Spine computed tomography — sagittal view — W/L 1800/400 HU — image 336 mm wide
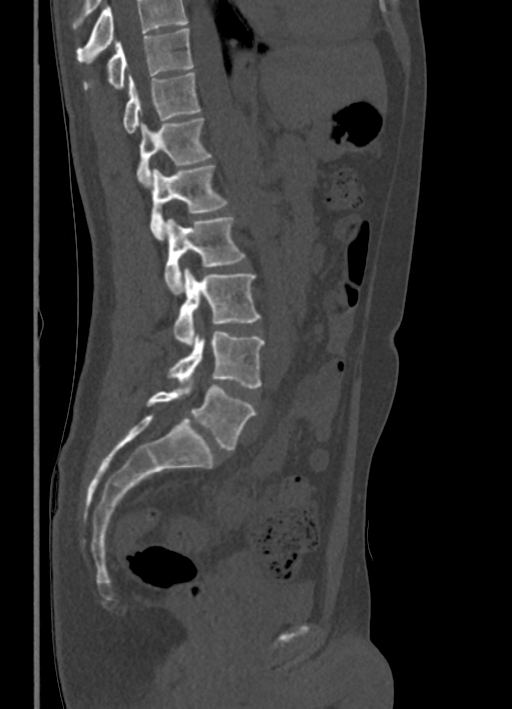
Box edges are left/top/right/bottom in pixels. Where the top of the scan cuts through a vertebra, that vertebra gets no label or box. The labeled vertebrae in this slice are: T10 at left=84, top=27, right=192, bottom=90, T11 at left=122, top=72, right=200, bottom=133, T12 at left=135, top=117, right=212, bottom=187, L1 at left=149, top=165, right=227, bottom=239, L2 at left=164, top=216, right=246, bottom=293, L3 at left=174, top=268, right=261, bottom=345, L4 at left=167, top=331, right=264, bottom=388, L5 at left=146, top=385, right=256, bottom=450.